Spine CT · Sagittal slice 231/512
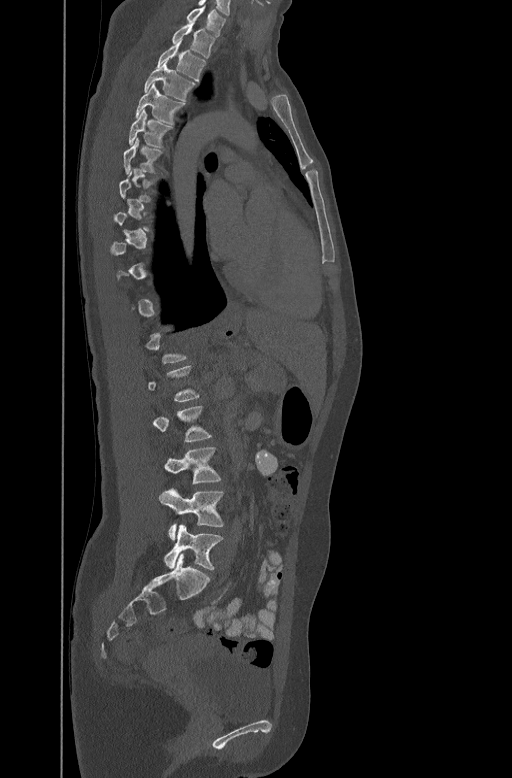 Coordinates as <box>x1,y1,x2,y2</box>. A vertebra is boxed only from the first to the last slice where its cross-section is at least a third of its largest; slices outside that range leave it without a box. The labeled vertebrae in this slice are: C7 at <box>185,6,227,36</box>, T1 at <box>172,24,214,58</box>, T2 at <box>156,42,205,79</box>, T3 at <box>144,63,196,99</box>, T4 at <box>135,82,184,124</box>, T5 at <box>128,109,173,147</box>, T6 at <box>124,136,164,173</box>, L2 at <box>152,405,212,441</box>, L3 at <box>164,447,221,482</box>, L4 at <box>159,488,223,540</box>, L5 at <box>164,524,223,570</box>.